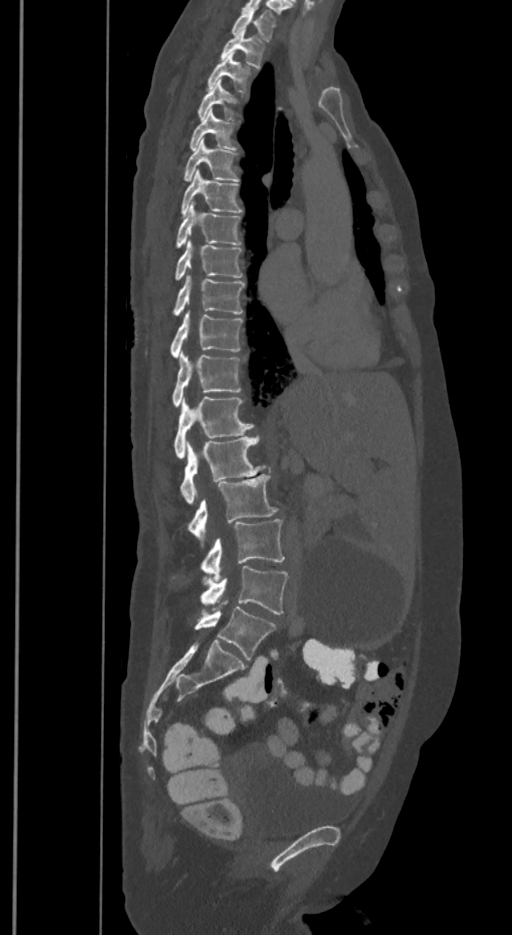 CT — sagittal view
Coordinates as <box>x1,y1,x2,y2</box>.
The labels name a sixth lumbar vertebra for this spine: L6, after L5.
Vertebra bounding boxes:
- T1: <box>231,9,275,40</box>
- T2: <box>221,29,264,66</box>
- T3: <box>207,53,249,91</box>
- T4: <box>197,80,236,119</box>
- T5: <box>190,109,234,150</box>
- T6: <box>184,140,239,181</box>
- T7: <box>181,170,242,216</box>
- T8: <box>175,203,240,248</box>
- T9: <box>175,240,242,279</box>
- T10: <box>172,275,245,315</box>
- T11: <box>169,312,242,357</box>
- T12: <box>172,353,240,406</box>
- L1: <box>174,396,253,458</box>
- L2: <box>180,436,266,503</box>
- L3: <box>187,474,277,540</box>
- L4: <box>200,520,284,581</box>
- L5: <box>200,566,288,614</box>
- L6: <box>194,602,275,659</box>